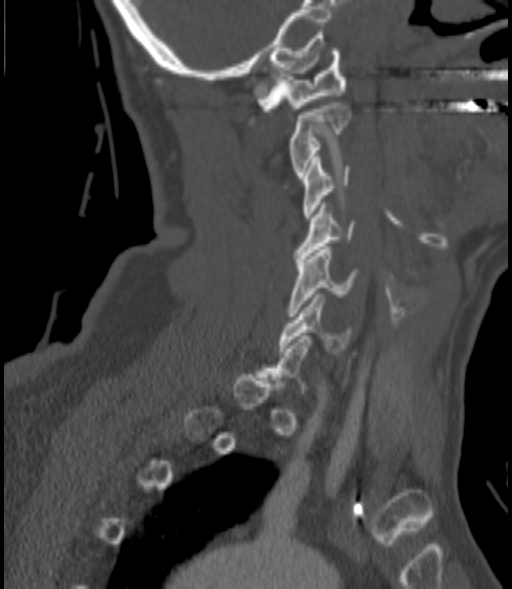
CT spine — sagittal view — the image is 200 mm wide

Coordinates as <box>x1,y1,x2,y2</box>. A vertebra gets a box only on the slices from the first to the last where its cross-section is at least a third of its largest; on a slice outside that range it gets none. Vertebrae labeled: C1 at <box>257,48,346,111</box>, C2 at <box>288,102,350,178</box>, C3 at <box>303,157,348,220</box>, C4 at <box>294,205,355,261</box>, C5 at <box>288,246,356,316</box>, C6 at <box>279,294,351,351</box>.